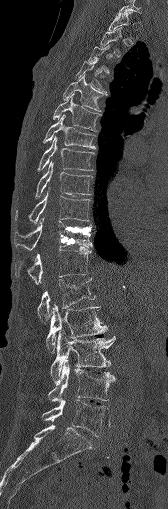

Spine CT · sagittal view
Box edges are left/top/right/bottom in pixels.
Not every vertebra on this slice has a box: a vertebra is boxed only from the first to the last slice where its cross-section is at least a third of its largest, and this slice is outside that range for at least one of them.
T2: left=100, top=27, right=121, bottom=54
T4: left=77, top=59, right=106, bottom=93
T5: left=63, top=75, right=106, bottom=111
T6: left=53, top=95, right=101, bottom=131
T7: left=44, top=114, right=94, bottom=148
T8: left=39, top=136, right=93, bottom=170
T9: left=36, top=161, right=92, bottom=196
T10: left=15, top=189, right=89, bottom=224
T11: left=14, top=218, right=92, bottom=249
T12: left=15, top=247, right=90, bottom=284
L1: left=37, top=278, right=95, bottom=323
L2: left=46, top=304, right=106, bottom=351
L3: left=50, top=331, right=114, bottom=383
L4: left=48, top=360, right=114, bottom=402
L5: left=42, top=399, right=109, bottom=436